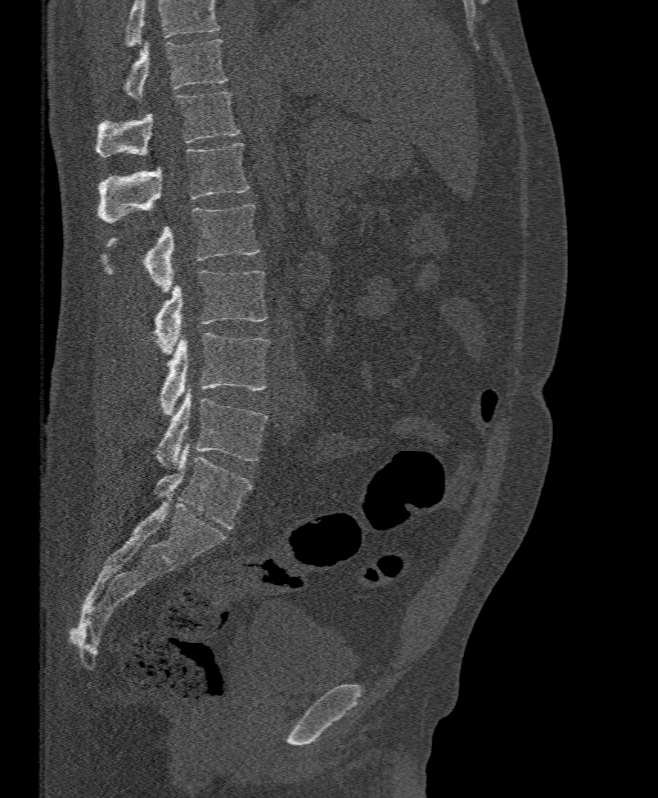
Spine computed tomography. sagittal view. bone-window reconstruction. 658x798 px
Bounding boxes as [x1, y1, x2, y2] in pixel coordinates.
Where the top of the scan cuts through a vertebra, that vertebra gets no label or box.
Vertebra bounding boxes:
- L5: [154, 388, 268, 469]
- L4: [149, 333, 269, 416]
- L3: [154, 270, 268, 354]
- L2: [102, 205, 260, 292]
- L1: [98, 143, 248, 224]
- T12: [95, 92, 241, 157]
- T11: [125, 38, 227, 99]